CT — image width 281 mm — sagittal reformat — Bone window (WL 400, WW 1800) — 9 vertebrae labeled in this scan — part of the image is constant black where the scan was masked
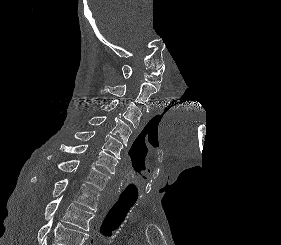
Box edges are left/top/right/bottom in pixels.
A vertebra cut off by the bottom edge of the scan is not labeled and has no box.
| vertebra | x1 | y1 | x2 | y2 |
|---|---|---|---|---|
| C1 | 122 | 64 | 164 | 89 |
| C2 | 101 | 82 | 158 | 111 |
| C3 | 101 | 99 | 141 | 128 |
| C4 | 88 | 116 | 131 | 145 |
| C5 | 74 | 131 | 123 | 159 |
| C6 | 59 | 144 | 118 | 174 |
| C7 | 47 | 155 | 110 | 190 |
| T1 | 31 | 176 | 99 | 211 |
| T2 | 45 | 195 | 94 | 230 |